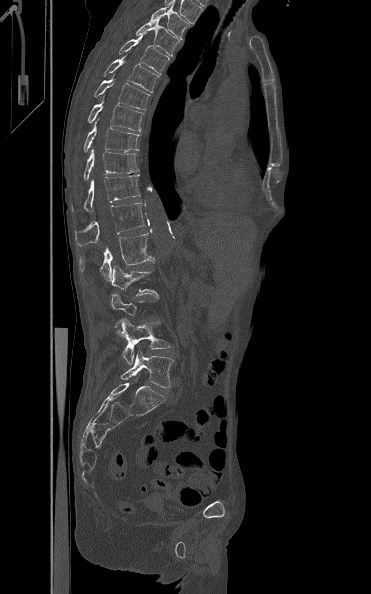

CT. sagittal reformat. image width 371 mm. bone-window reconstruction. 371x594 px
A vertebra gets a box only on the slices from the first to the last where its cross-section is at least a third of its largest; on a slice outside that range it gets none.
<vertebrae><v name="L5" x1="120" y1="350" x2="174" y2="388"/><v name="L4" x1="118" y1="318" x2="170" y2="364"/><v name="L2" x1="110" y1="265" x2="159" y2="298"/><v name="L1" x1="79" y1="229" x2="154" y2="280"/><v name="T12" x1="75" y1="202" x2="144" y2="245"/><v name="T11" x1="71" y1="174" x2="140" y2="211"/><v name="T10" x1="83" y1="149" x2="139" y2="180"/><v name="T9" x1="83" y1="119" x2="140" y2="152"/><v name="T8" x1="87" y1="97" x2="144" y2="131"/><v name="T7" x1="94" y1="74" x2="150" y2="110"/><v name="T6" x1="103" y1="54" x2="158" y2="92"/><v name="T5" x1="118" y1="32" x2="169" y2="74"/><v name="T4" x1="135" y1="20" x2="181" y2="57"/><v name="T3" x1="149" y1="3" x2="191" y2="39"/></vertebrae>